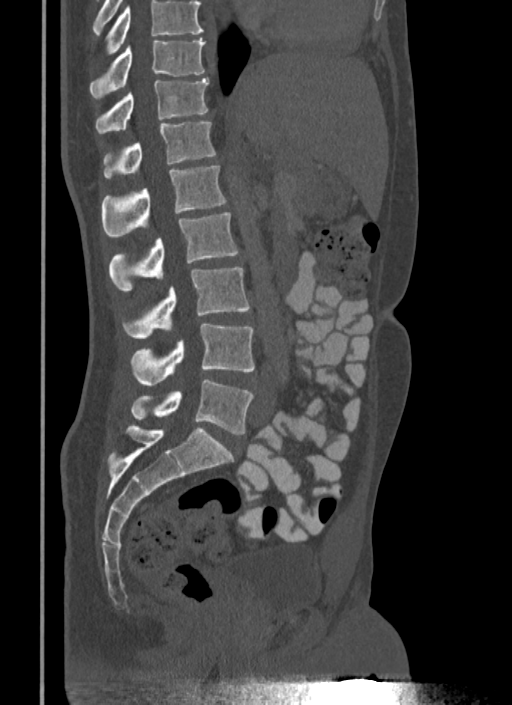
Computed tomography of the spine — sagittal view — bone-window reconstruction
Bounding boxes as [x1, y1, x2, y2] in pixel coordinates.
Vertebrae that run past the top of the scan are left unlabeled.
T10: [89, 38, 205, 98]
T11: [95, 78, 208, 133]
T12: [104, 122, 216, 178]
L1: [102, 166, 226, 237]
L2: [110, 212, 238, 290]
L3: [123, 267, 249, 338]
L4: [131, 324, 255, 386]
L5: [131, 379, 253, 434]